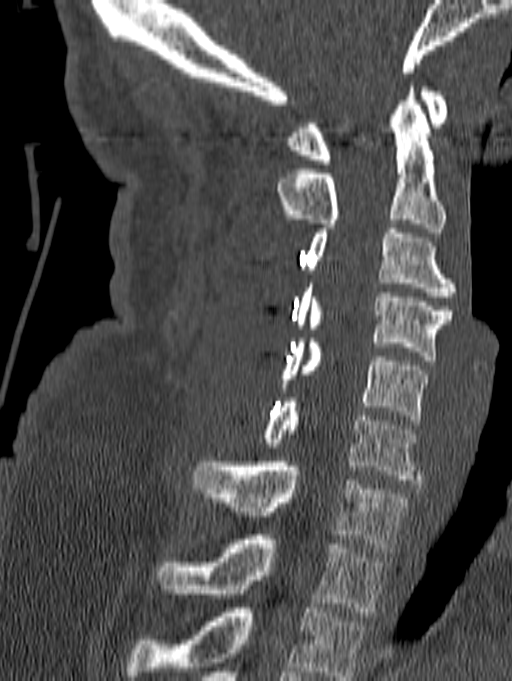 Computed tomography of the spine. sagittal view. W/L 1800/400 HU
Boxes: x1 y1 x2 y2 (pixel coords, space-separated). In this scan, the topmost labeled vertebra is C1 and the lowest is T1. The labeled vertebrae in this slice are: T1 at 157 535 386 616, C7 at 192 462 410 552, C6 at 261 398 421 484, C5 at 279 338 428 424, C4 at 294 283 451 360, C3 at 306 229 456 301, C2 at 276 82 445 232, C1 at 289 87 447 164.